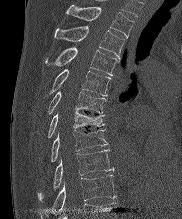

Spine CT · sagittal reformat · 182x219 px. Each row gives a vertebra's box as x1, y1, x2, y2 in pixels: top-left corner, then bottom-right corner.
| vertebra | x1 | y1 | x2 | y2 |
|---|---|---|---|---|
| T2 | 66 | 5 | 134 | 38 |
| T3 | 54 | 26 | 124 | 57 |
| T4 | 45 | 47 | 118 | 75 |
| T5 | 46 | 69 | 110 | 96 |
| T6 | 47 | 91 | 106 | 114 |
| T7 | 47 | 111 | 104 | 138 |
| T8 | 51 | 130 | 107 | 162 |
| T9 | 38 | 149 | 114 | 200 |
| T10 | 41 | 175 | 115 | 218 |